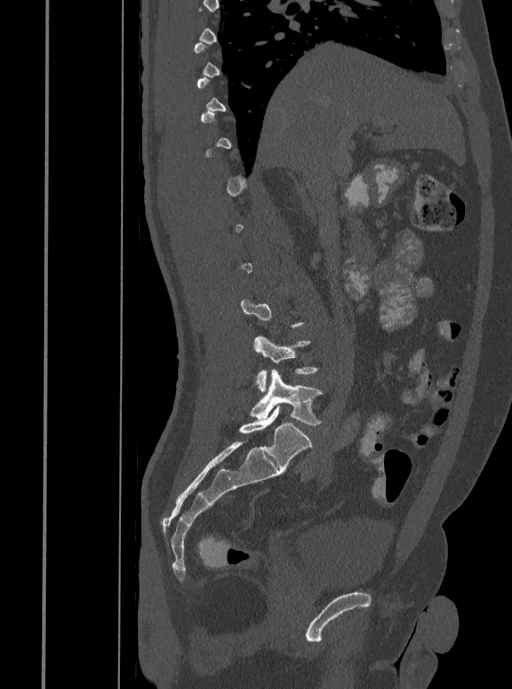

Spine CT · sagittal view. Boxes: x1:y1:x2:y2 in pixels.
Not every vertebra on this slice has a box: a vertebra is boxed only from the first to the last slice where its cross-section is at least a third of its largest, and this slice is outside that range for at least one of them.
Vertebra bounding boxes:
- L5: 250:369:323:426
- L4: 253:335:319:392